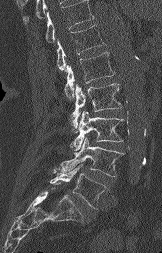 Spine CT. sagittal view. bone window. 162 mm across the image. 162x253 px
Bounding boxes as [x1, y1, x2, y2] in pixel coordinates.
No box is given to a vertebra that the top edge of the scan cuts off.
T12: [57, 25, 106, 72]
L1: [64, 52, 114, 99]
L2: [70, 83, 121, 128]
L3: [70, 111, 123, 150]
L4: [60, 137, 123, 176]
L5: [50, 164, 105, 209]